Spine computed tomography · sagittal plane, index 58 · 512x512 px
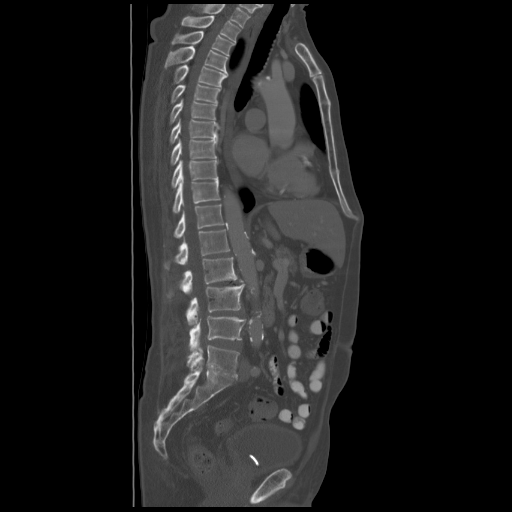 Coordinates as <box>x1,y1,x2,y2</box>. In this scan, the topmost labeled vertebra is T2 and the lowest is L5. The labeled vertebrae in this slice are: T2 at <box>182,16,240,42</box>, T3 at <box>171,31,234,55</box>, T4 at <box>165,46,228,72</box>, T5 at <box>173,65,227,86</box>, T6 at <box>171,84,220,103</box>, T7 at <box>170,99,217,124</box>, T8 at <box>170,119,218,143</box>, T9 at <box>171,139,217,165</box>, T10 at <box>171,160,217,188</box>, T11 at <box>172,179,220,212</box>, T12 at <box>174,204,226,238</box>, L1 at <box>164,229,229,269</box>, L2 at <box>167,257,243,297</box>, L3 at <box>186,283,244,325</box>, L4 at <box>189,316,245,349</box>, L5 at <box>187,345,239,378</box>.